Spine CT — sagittal reformat — bone window — 191 mm across the image — scan covers 18 annotated vertebrae
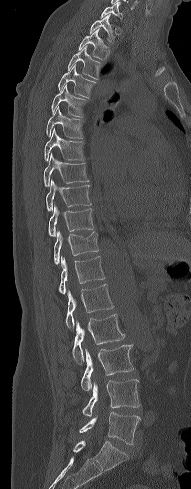 <vertebrae><v name="C7" x1="100" y1="1" x2="123" y2="20"/><v name="T1" x1="90" y1="13" x2="114" y2="42"/><v name="T2" x1="79" y1="28" x2="111" y2="60"/><v name="T3" x1="68" y1="45" x2="101" y2="79"/><v name="T4" x1="58" y1="65" x2="96" y2="98"/><v name="T5" x1="51" y1="84" x2="87" y2="117"/><v name="T6" x1="46" y1="108" x2="83" y2="138"/><v name="T7" x1="44" y1="128" x2="85" y2="160"/><v name="T8" x1="44" y1="155" x2="88" y2="186"/><v name="T9" x1="46" y1="180" x2="91" y2="210"/><v name="T10" x1="48" y1="206" x2="94" y2="236"/><v name="T11" x1="54" y1="231" x2="99" y2="264"/><v name="T12" x1="59" y1="256" x2="105" y2="295"/><v name="L1" x1="65" y1="284" x2="113" y2="329"/><v name="L2" x1="72" y1="314" x2="124" y2="363"/><v name="L3" x1="81" y1="345" x2="134" y2="392"/><v name="L4" x1="82" y1="379" x2="140" y2="416"/><v name="L5" x1="79" y1="412" x2="139" y2="444"/></vertebrae>